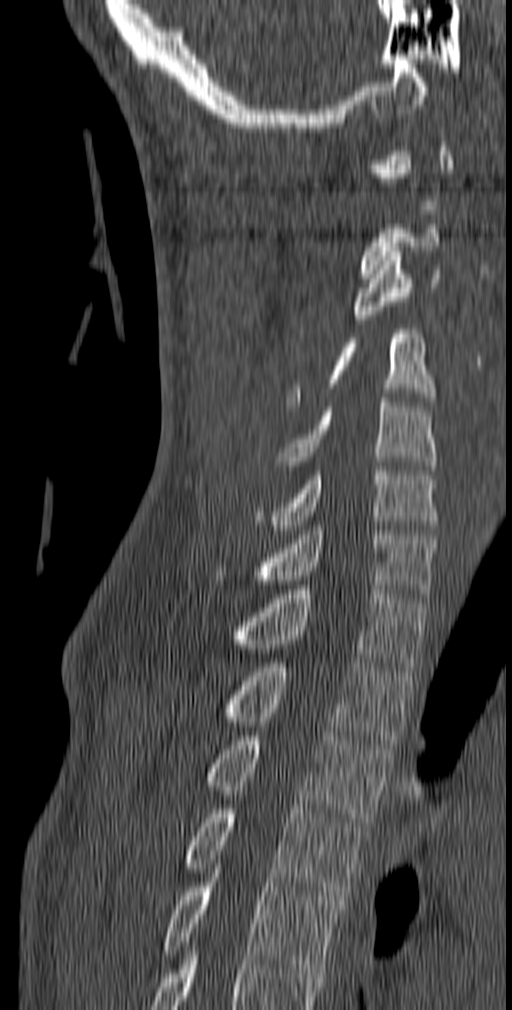 Spine computed tomography. sagittal reformat. bone-window reconstruction. 512x1010 px. 140 mm image width

Each vertebra is boxed only on the slices from the first to the last where its cross-section reaches a third of its largest, so a slice outside that range leaves it unboxed.
<vertebrae><v name="C3" x1="352" y1="247" x2="442" y2="324"/><v name="C4" x1="287" y1="329" x2="436" y2="406"/><v name="C5" x1="276" y1="398" x2="436" y2="474"/><v name="C6" x1="255" y1="466" x2="439" y2="534"/><v name="C7" x1="256" y1="526" x2="437" y2="598"/><v name="T1" x1="230" y1="585" x2="425" y2="671"/><v name="T2" x1="220" y1="658" x2="412" y2="744"/><v name="T3" x1="206" y1="736" x2="393" y2="826"/><v name="T4" x1="184" y1="805" x2="366" y2="900"/><v name="T5" x1="162" y1="869" x2="340" y2="973"/></vertebrae>